Spine CT; sagittal view; 512x943 px
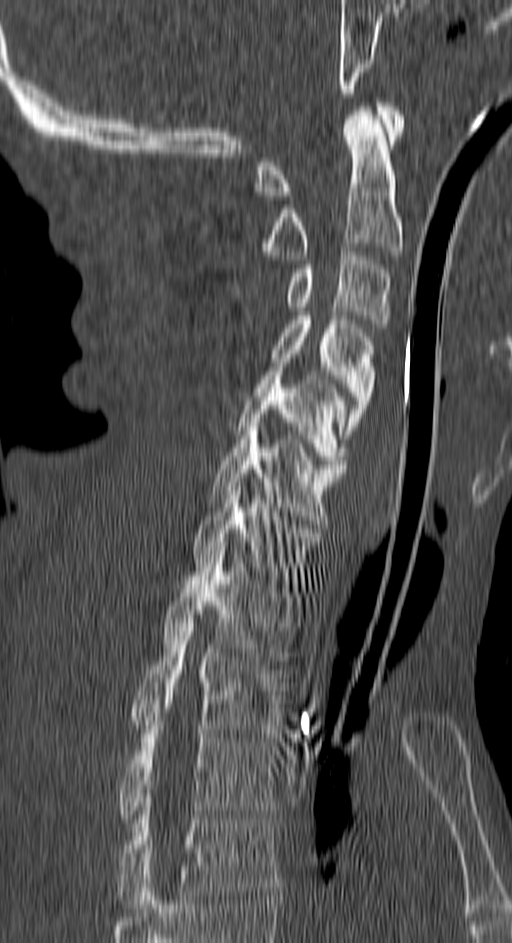

Boxes: x1:y1:x2:y2 in pixels.
C1: 256:102:403:200
C2: 264:107:403:259
C3: 288:247:389:328
C4: 271:316:376:438
C5: 237:367:348:468
C6: 209:422:345:528
C7: 192:478:321:588
T1: 162:550:300:660
T2: 131:623:286:733
T3: 117:721:277:822
T4: 117:802:277:908